CT spine; sagittal view; scan covers 17 annotated vertebrae; image 500 mm wide
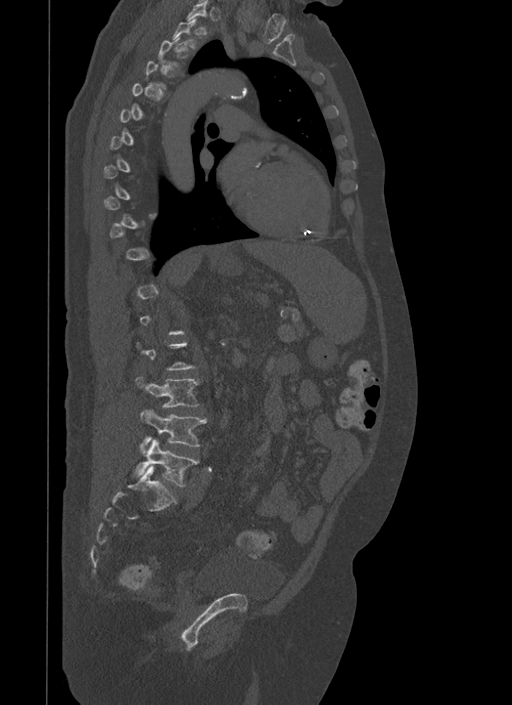
Boxes are given in columns x1, y1, x2, y2, the pixel coordinates of their top-left and bottom-right corners.
A vertebra gets a box only on the slices from the first to the last where its cross-section is at least a third of its largest; on a slice outside that range it gets none.
| vertebra | x1 | y1 | x2 | y2 |
|---|---|---|---|---|
| L5 | 136 | 439 | 199 | 486 |
| L4 | 140 | 409 | 207 | 446 |
| L3 | 136 | 376 | 200 | 407 |